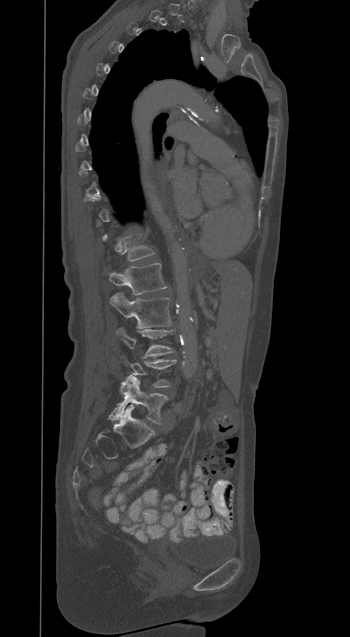

CT, spine; sagittal view. Coordinates as <box>x1,y1,x2,y2</box>.
Not every vertebra on this slice has a box: a vertebra is boxed only from the first to the last slice where its cross-section is at least a third of its largest, and this slice is outside that range for at least one of them.
L5: <box>109,376,168,424</box>
L4: <box>121,356,176,387</box>
L3: <box>115,328,174,356</box>
L2: <box>109,293,171,328</box>
L1: <box>108,263,166,294</box>